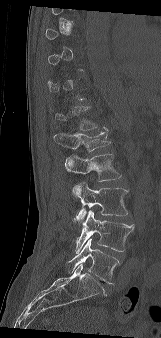

CT spine. sagittal view. the image spans 161 mm across. bone-window reconstruction
Each vertebra is boxed only on the slices from the first to the last where its cross-section reaches a third of its largest, so a slice outside that range leaves it unboxed.
<vertebrae><v name="L1" x1="54" y1="127" x2="110" y2="151"/><v name="L2" x1="64" y1="153" x2="121" y2="192"/><v name="L3" x1="72" y1="182" x2="128" y2="226"/><v name="L4" x1="75" y1="210" x2="134" y2="253"/><v name="L5" x1="66" y1="238" x2="119" y2="284"/></vertebrae>